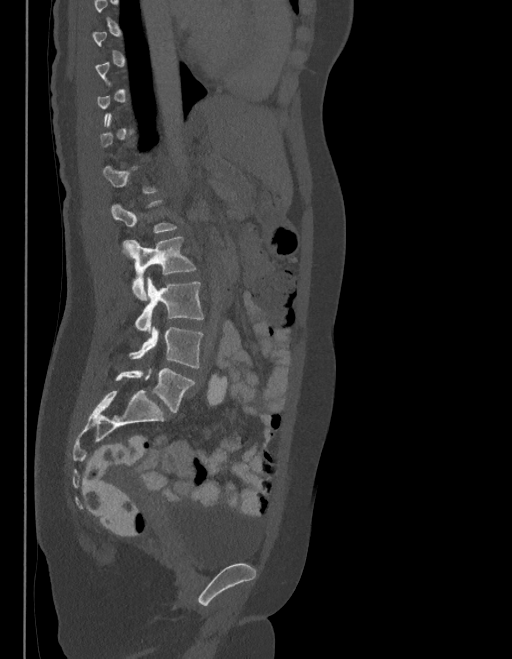 CT; sagittal view; bone window; 512x659 px
Boxes: x1 y1 x2 y2 (pixel coords, space-separated).
A vertebra is boxed only from the first to the last slice where its cross-section is at least a third of its largest; slices outside that range leave it without a box.
In these labels the spine has an L6, a sixth lumbar vertebra below L5.
Vertebra bounding boxes:
- L3: 124 237 196 300
- L4: 135 278 203 332
- L5: 128 327 202 368
- L6: 115 368 195 413